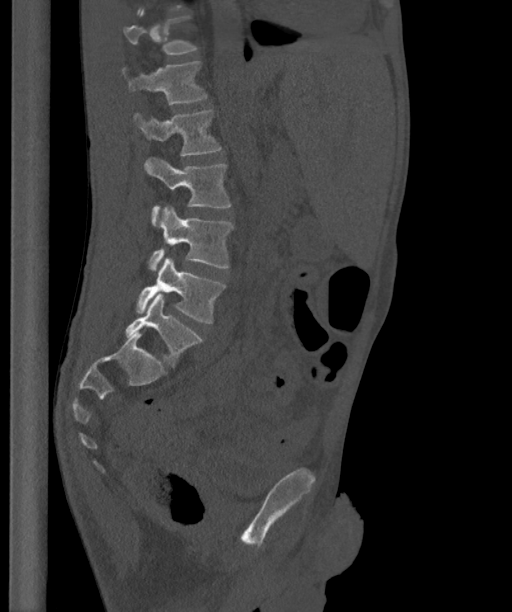

CT — sagittal view — 512x612 px — image width 363 mm
Box edges are left/top/right/bottom in pixels.
A vertebra gets a box only on the slices from the first to the last where its cross-section is at least a third of its largest; on a slice outside that range it gets none.
These labels give the spine a sixth lumbar vertebra, L6, below L5.
Vertebra bounding boxes:
- L1: left=121, top=61, right=208, bottom=104
- L2: left=134, top=109, right=222, bottom=155
- L3: left=145, top=157, right=232, bottom=224
- L4: left=149, top=206, right=233, bottom=271
- L5: left=135, top=256, right=226, bottom=323
- L6: left=124, top=293, right=202, bottom=366